CT spine · sagittal reformat · W/L 1800/400 HU · 18 vertebrae labeled in this scan
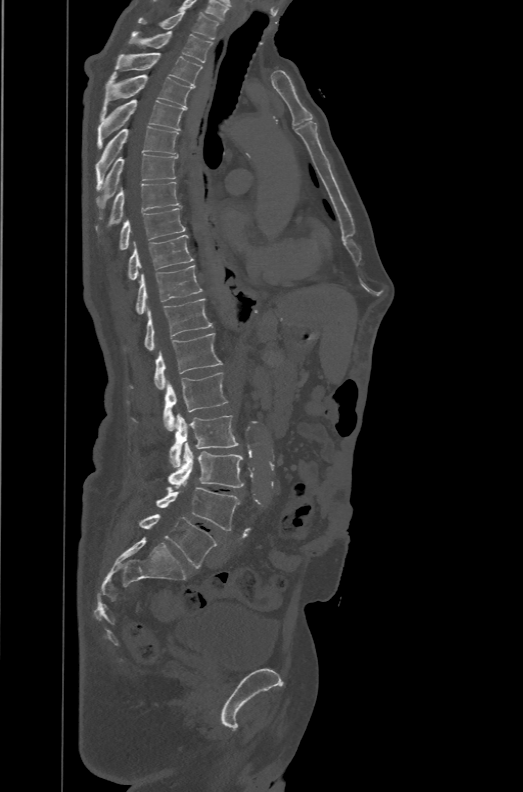

Box values are [left, top, right, bottom] in pixels.
In these labels the spine has an L6, a sixth lumbar vertebra below L5.
{"vertebrae":{"T1":[137,11,219,39],"T2":[129,31,213,62],"T3":[114,52,202,87],"T4":[100,71,193,121],"T5":[97,100,184,148],"T6":[95,126,179,190],"T7":[95,154,178,219],"T8":[95,182,182,234],"T9":[119,208,186,250],"T10":[128,234,193,280],"T11":[136,265,202,314],"T12":[144,298,213,350],"L1":[154,333,222,389],"L2":[163,372,228,431],"L3":[169,413,238,467],"L4":[169,442,243,488],"L5":[156,486,239,530],"L6":[139,514,217,568]}}